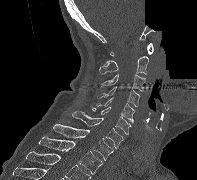
Spine CT · sagittal view · W/L 1800/400 HU · 197 mm across the image · 197x180 px · part of the image is constant black where the scan was masked
<vertebrae><v name="C1" x1="110" y1="43" x2="153" y2="56"/><v name="C2" x1="99" y1="56" x2="148" y2="74"/><v name="C3" x1="99" y1="74" x2="145" y2="91"/><v name="C4" x1="97" y1="86" x2="140" y2="107"/><v name="C5" x1="96" y1="97" x2="134" y2="122"/><v name="C6" x1="90" y1="106" x2="131" y2="134"/><v name="C7" x1="72" y1="111" x2="123" y2="148"/><v name="T1" x1="53" y1="124" x2="113" y2="160"/><v name="T2" x1="39" y1="135" x2="102" y2="174"/></vertebrae>